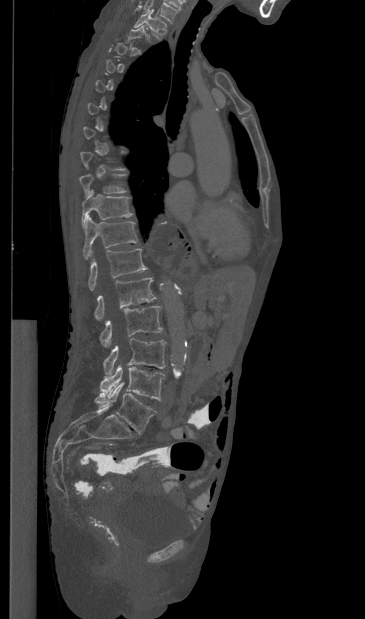 CT spine; sagittal view; bone window; 365 mm image width
Boxes are (x1, y1, x2, y2) in pixels.
Not every vertebra on this slice has a box: a vertebra is boxed only from the first to the last slice where its cross-section is at least a third of its largest, and this slice is outside that range for at least one of them.
Labels in this scan begin with T1 at the top and end with L5 at the bottom.
T1: (134, 10, 166, 37)
T9: (79, 174, 126, 197)
T10: (82, 189, 132, 227)
T11: (83, 215, 137, 259)
T12: (88, 248, 147, 290)
L1: (94, 278, 156, 319)
L2: (100, 305, 162, 346)
L3: (103, 338, 166, 376)
L4: (100, 364, 164, 400)
L5: (94, 382, 156, 433)